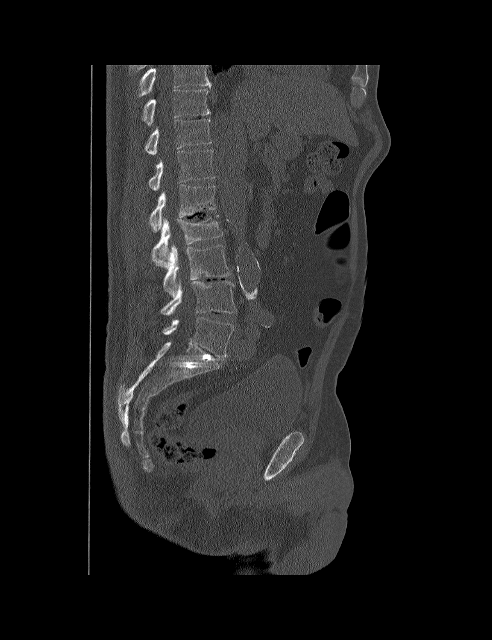
CT spine · sagittal view
Each box is [x1, y1, x2, y2] in pixels: top-left corner, then bottom-right corner.
The highest labeled vertebra in this scan is T10; the lowest is L5.
{"vertebrae":{"T10":[143,89,210,125],"T11":[144,119,211,154],"T12":[149,150,214,190],"L1":[149,184,215,231],"L2":[152,215,223,263],"L3":[157,245,231,296],"L4":[160,280,236,315],"L5":[162,317,233,357]}}